Computed tomography of the spine. Sagittal slice 134/317. bone-window reconstruction. 317x559 px
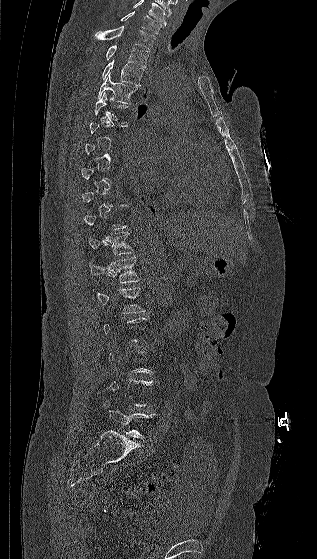 Each vertebra maps to its box as [x1, y1, x2, y2], the pixel coordinates of its top-left and bottom-right corners.
Not every vertebra on this slice has a box: a vertebra is boxed only from the first to the last slice where its cross-section is at least a third of its largest, and this slice is outside that range for at least one of them.
The highest labeled vertebra in this scan is C7; the lowest is L5.
{"vertebrae":{"C7":[120,11,163,34],"T1":[94,26,155,49],"T2":[105,45,149,67],"T3":[101,59,144,85],"T4":[97,73,137,104],"T5":[95,92,127,123],"T11":[88,232,134,254],"T12":[89,257,140,282],"L1":[92,287,146,313],"L5":[103,399,154,438]}}